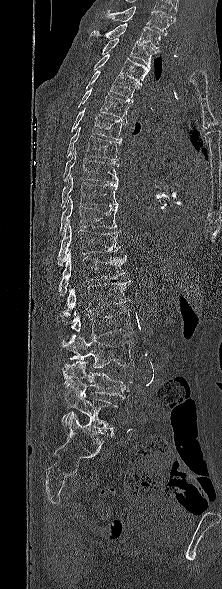
CT. sagittal reformat. 222x589 px. Boxes: x1:y1:x2:y2 in pixels.
The highest labeled vertebra in this scan is T1; the lowest is L5.
L5: 57:386:117:435
L4: 62:360:132:399
L3: 61:334:134:368
L2: 70:309:132:338
L1: 63:280:130:316
T12: 59:250:128:295
T11: 57:221:120:265
T10: 59:196:117:235
T9: 61:173:117:208
T8: 63:148:118:183
T7: 66:126:121:160
T6: 70:107:124:140
T5: 74:88:131:122
T4: 86:71:139:102
T3: 93:54:150:85
T2: 102:38:156:65
T1: 90:23:161:52